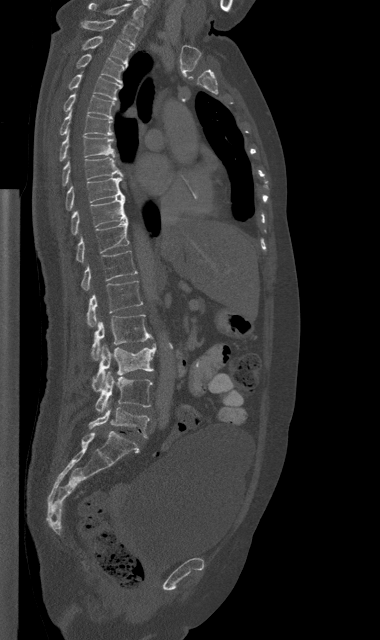 Computed tomography of the spine · sagittal view · bone-window reconstruction · 380x640 px. Coordinates as <box>x1,y1,x2,y2</box>. The labeled vertebrae in this slice are: C7 at <box>88,3,144,24</box>, T1 at <box>81,19,138,45</box>, T2 at <box>83,35,133,65</box>, T3 at <box>76,54,127,84</box>, T4 at <box>68,74,122,101</box>, T5 at <box>63,94,114,118</box>, T6 at <box>60,110,113,135</box>, T7 at <box>59,133,115,161</box>, T8 at <box>62,157,123,186</box>, T9 at <box>65,176,125,210</box>, T10 at <box>71,198,128,235</box>, T11 at <box>75,220,128,262</box>, T12 at <box>81,251,136,290</box>, L1 at <box>87,281,142,326</box>, L2 at <box>91,315,152,360</box>, L3 at <box>92,344,156,391</box>, L4 at <box>95,371,152,412</box>, L5 at <box>88,402,149,437</box>.